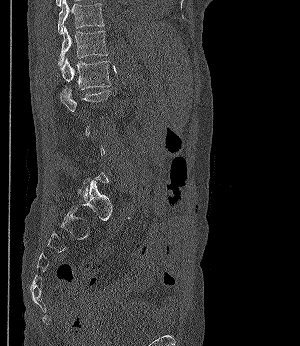
Spine computed tomography; sagittal reformat; 300x346 px. Each row gives a vertebra's box as x1, y1, x2, y2 in pixels: top-left corner, then bottom-right corner.
A vertebra is boxed only from the first to the last slice where its cross-section is at least a third of its largest; slices outside that range leave it without a box.
| vertebra | x1 | y1 | x2 | y2 |
|---|---|---|---|---|
| T11 | 58 | 0 | 104 | 34 |
| T12 | 58 | 26 | 107 | 65 |
| L1 | 60 | 58 | 110 | 89 |
| L2 | 60 | 88 | 110 | 117 |